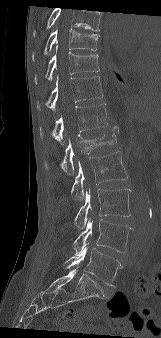 Computed tomography of the spine; sagittal view; the image spans 161 mm across; bone window; 161x338 px
Box edges are left/top/right/bottom in pixels.
No box is given to a vertebra that the top edge of the scan cuts off.
T9: left=32, top=28, right=98, bottom=61
T10: left=35, top=45, right=99, bottom=84
T11: left=37, top=74, right=103, bottom=110
T12: left=40, top=103, right=107, bottom=144
L1: left=45, top=126, right=118, bottom=174
L2: left=71, top=151, right=127, bottom=199
L3: left=74, top=188, right=131, bottom=228
L4: left=73, top=218, right=132, bottom=254
L5: left=63, top=245, right=121, bottom=286